CT; sagittal view; bone window; 312x497 px; image width 312 mm
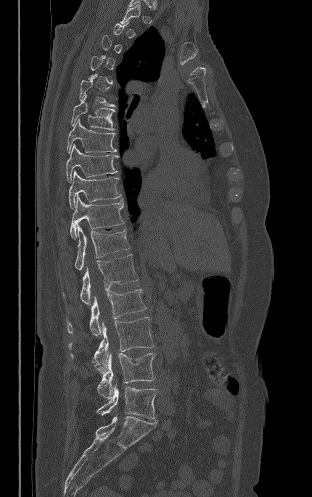
Each box given as x1,y1,x2,y2.
Not every vertebra on this slice has a box: a vertebra is boxed only from the first to the last slice where its cross-section is at least a third of its largest, and this slice is outside that range for at least one of them.
Vertebra bounding boxes:
- T7: x1=71, y1=95, x2=114, y2=130
- T8: x1=67, y1=118, x2=116, y2=152
- T9: x1=66, y1=144, x2=117, y2=182
- T10: x1=69, y1=170, x2=121, y2=209
- T11: x1=70, y1=195, x2=124, y2=238
- T12: x1=75, y1=224, x2=129, y2=270
- L1: x1=63, y1=254, x2=138, y2=305
- L2: x1=67, y1=289, x2=146, y2=336
- L3: x1=68, y1=317, x2=154, y2=373
- L4: x1=97, y1=353, x2=155, y2=399
- L5: x1=97, y1=384, x2=157, y2=419